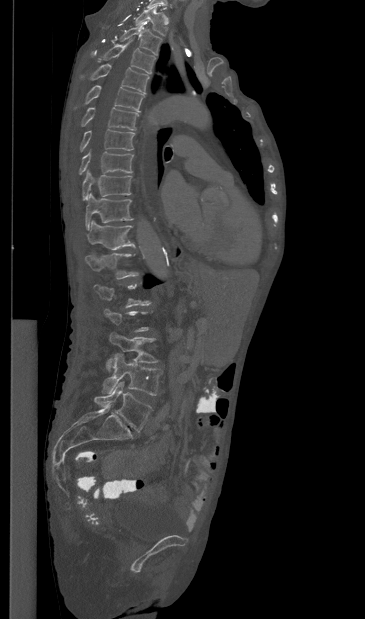
CT spine — sagittal view — bone-window reconstruction
A vertebra is boxed only from the first to the last slice where its cross-section is at least a third of its largest; slices outside that range leave it without a box.
<vertebrae><v name="T1" x1="135" y1="5" x2="168" y2="35"/><v name="T2" x1="119" y1="25" x2="162" y2="55"/><v name="T3" x1="102" y1="38" x2="155" y2="73"/><v name="T4" x1="81" y1="64" x2="149" y2="92"/><v name="T5" x1="85" y1="85" x2="144" y2="111"/><v name="T6" x1="81" y1="107" x2="138" y2="130"/><v name="T7" x1="80" y1="129" x2="135" y2="151"/><v name="T8" x1="79" y1="150" x2="133" y2="174"/><v name="T9" x1="82" y1="170" x2="131" y2="200"/><v name="T10" x1="85" y1="193" x2="133" y2="230"/><v name="T11" x1="87" y1="220" x2="134" y2="250"/><v name="T12" x1="85" y1="252" x2="138" y2="279"/><v name="L3" x1="106" y1="332" x2="157" y2="370"/><v name="L4" x1="103" y1="353" x2="161" y2="395"/><v name="L5" x1="94" y1="382" x2="151" y2="431"/></vertebrae>